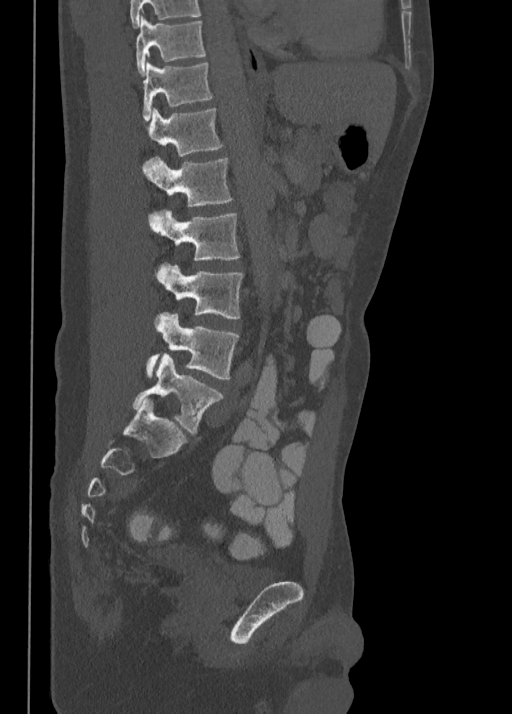
Spine computed tomography — sagittal view

Each box given as x1,y1,x2,y2.
In this scan, the topmost labeled vertebra is T10 and the lowest is L5.
T10: x1=136, y1=17, x2=205, y2=75
T11: x1=143, y1=63, x2=212, y2=120
T12: x1=146, y1=108, x2=223, y2=156
L1: x1=143, y1=157, x2=231, y2=207
L2: x1=149, y1=211, x2=240, y2=261
L3: x1=156, y1=263, x2=243, y2=318
L4: x1=145, y1=311, x2=239, y2=379
L5: x1=133, y1=354, x2=221, y2=433